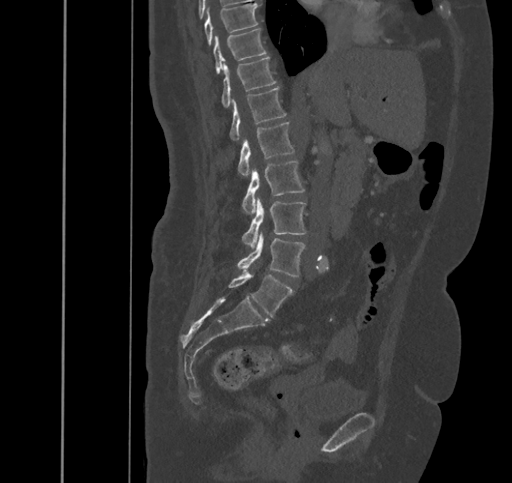 Spine CT; sagittal view; Bone window (WL 400, WW 1800); 512x483 px
<vertebrae><v name="L5" x1="228" y1="271" x2="292" y2="316"/><v name="L4" x1="237" y1="232" x2="305" y2="277"/><v name="L3" x1="243" y1="197" x2="305" y2="248"/><v name="L2" x1="242" y1="161" x2="304" y2="213"/><v name="L1" x1="238" y1="122" x2="293" y2="176"/><v name="T12" x1="230" y1="87" x2="285" y2="140"/><v name="T11" x1="222" y1="57" x2="276" y2="107"/><v name="T10" x1="214" y1="28" x2="266" y2="74"/><v name="T9" x1="205" y1="3" x2="259" y2="44"/></vertebrae>